CT spine · sagittal view · 512x789 px
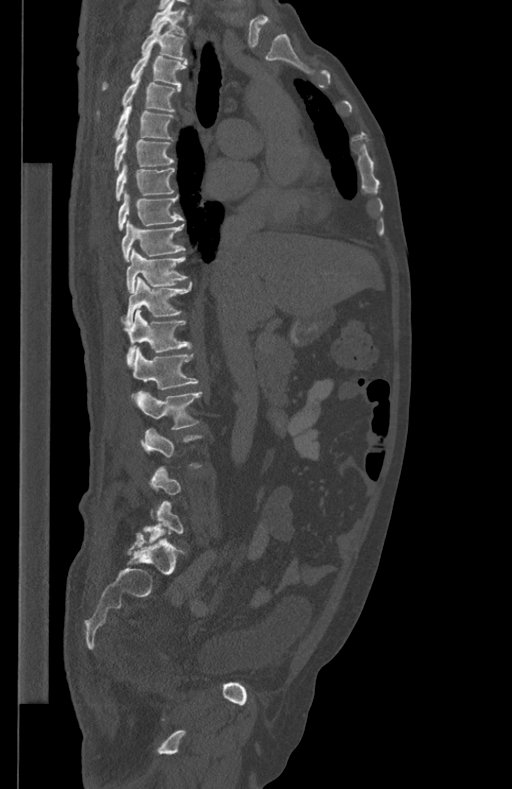
Each box given as x1,y1,x2,y2.
A vertebra is boxed only from the first to the last slice where its cross-section is at least a third of its largest; slices outside that range leave it without a box.
| vertebra | x1 | y1 | x2 | y2 |
|---|---|---|---|---|
| L5 | 144 | 501 | 183 | 540 |
| L2 | 134 | 392 | 202 | 429 |
| L1 | 132 | 347 | 198 | 389 |
| T12 | 123 | 309 | 190 | 365 |
| T11 | 121 | 277 | 191 | 324 |
| T10 | 126 | 248 | 186 | 292 |
| T9 | 121 | 219 | 184 | 260 |
| T8 | 118 | 191 | 183 | 229 |
| T7 | 116 | 161 | 175 | 201 |
| T6 | 114 | 131 | 174 | 170 |
| T5 | 114 | 103 | 172 | 139 |
| T4 | 123 | 76 | 180 | 110 |
| T3 | 103 | 49 | 187 | 89 |
| T2 | 141 | 21 | 184 | 60 |
| T1 | 150 | 0 | 185 | 36 |